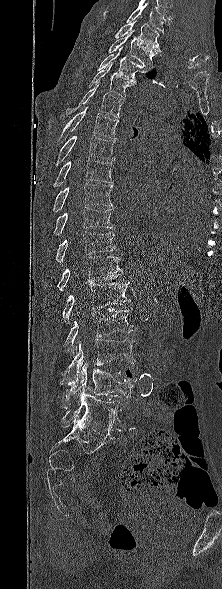
CT spine — sagittal view
Each vertebra maps to its box as [x1, y1, x2, y2], the pixel coordinates of its top-left and bottom-right corners.
The highest labeled vertebra in this scan is T1; the lowest is L5.
{"vertebrae":{"T1":[115,21,161,52],"T2":[108,29,156,69],"T3":[97,47,150,81],"T4":[89,62,136,97],"T5":[66,83,124,117],"T6":[58,106,119,143],"T7":[55,135,115,166],"T8":[53,159,112,187],"T9":[52,183,113,212],"T10":[53,207,113,236],"T11":[55,231,117,262],"T12":[57,256,123,291],"L1":[62,281,130,324],"L2":[65,308,137,355],"L3":[60,338,135,384],"L4":[64,363,137,407],"L5":[60,393,123,431]}}